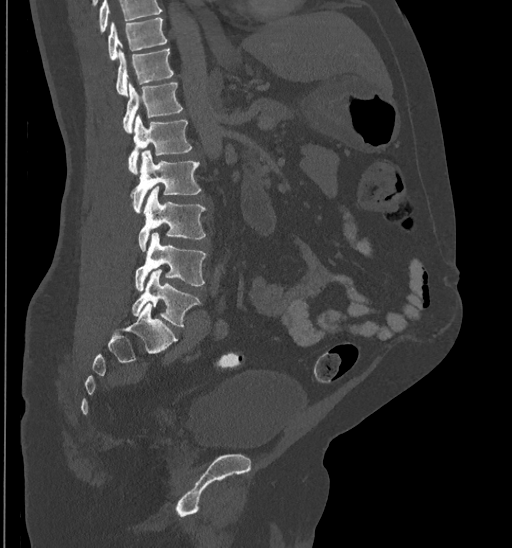 Spine computed tomography · sagittal view · W/L 1800/400 HU · 512x548 px
Boxes below are [x1, y1, x2, y2] in pixels.
Vertebrae that run past the top of the scan are left unlabeled.
{"vertebrae":{"T10":[107,17,167,60],"T11":[115,49,173,96],"T12":[122,82,183,132],"L1":[128,115,192,174],"L2":[131,150,201,213],"L3":[138,187,206,251],"L4":[134,232,206,290],"L5":[132,269,200,326]}}